CT spine; Sagittal slice 258/512; bone window
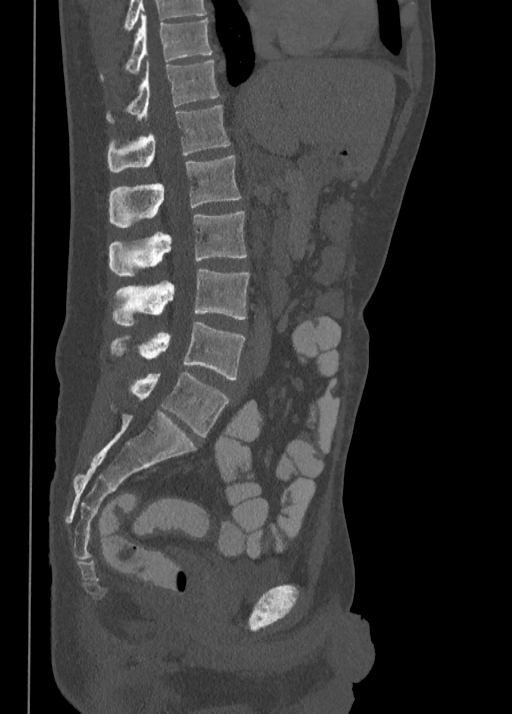
Boxes are given in columns x1, y1, x2, y2, the pixel coordinates of their top-left and bottom-right corners.
| vertebra | x1 | y1 | x2 | y2 |
|---|---|---|---|---|
| T10 | 99 | 14 | 212 | 81 |
| T11 | 107 | 59 | 220 | 123 |
| T12 | 107 | 105 | 230 | 171 |
| L1 | 109 | 155 | 240 | 227 |
| L2 | 109 | 211 | 246 | 275 |
| L3 | 112 | 269 | 249 | 327 |
| L4 | 111 | 321 | 245 | 379 |
| L5 | 131 | 371 | 228 | 436 |